Spine CT — sagittal reformat — W/L 1800/400 HU — 778x725 px — scan covers 8 annotated vertebrae
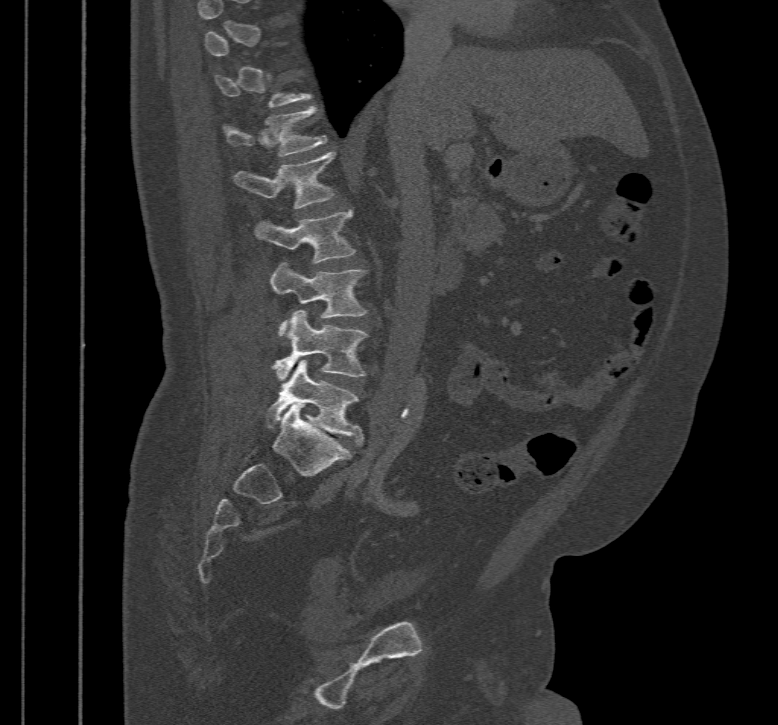

Boxes: x1:y1:x2:y2 in pixels. Each vertebra is boxed only on the slices from the first to the last where its cross-section reaches a third of its largest, so a slice outside that range leaves it unboxed. The labeled vertebrae in this slice are: T12 at 223:105:327:156, L1 at 233:152:333:208, L2 at 255:210:356:263, L3 at 271:262:365:334, L4 at 271:310:367:379, L5 at 265:360:364:444.